Computed tomography of the spine — the image spans 500 mm across — Sagittal slice 262/512
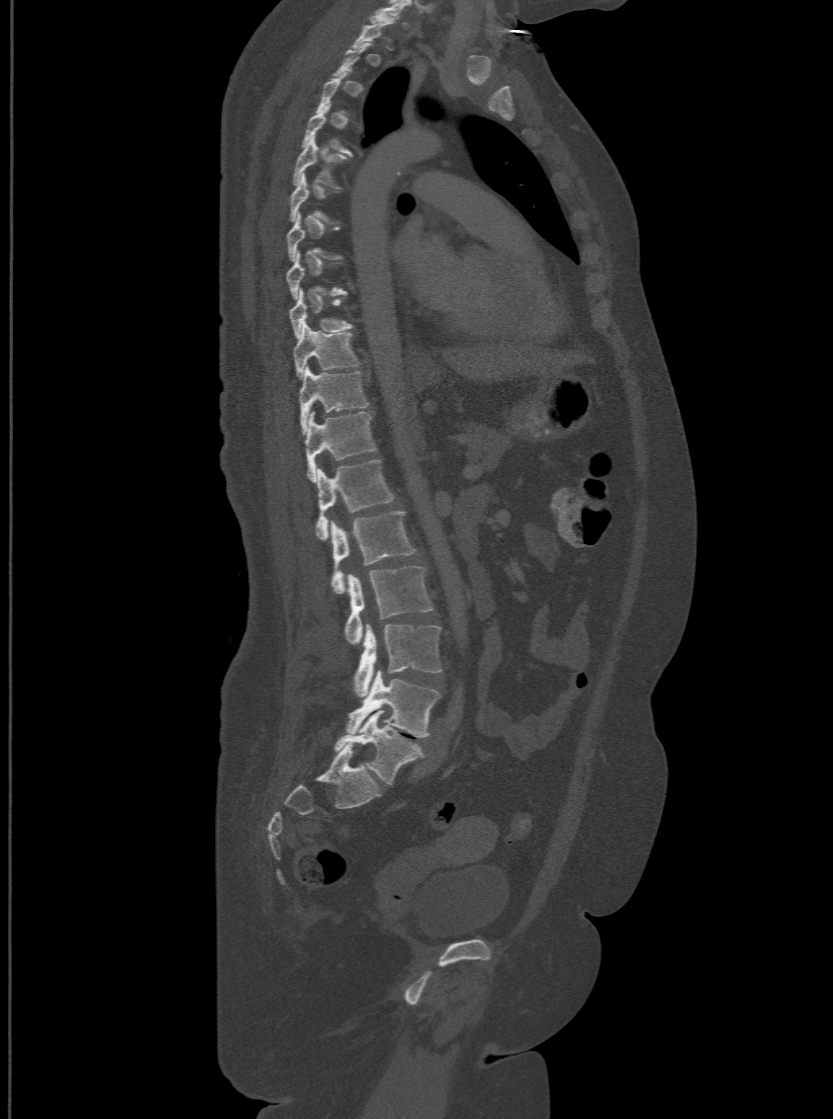

Boxes: x1:y1:x2:y2 in pixels. A vertebra is boxed only from the first to the last slice where its cross-section is at least a third of its largest; slices outside that range leave it without a box. In these labels the spine has an L6, a sixth lumbar vertebra below L5. Vertebrae labeled: L6 at 335:711:422:785, L5 at 347:671:440:737, L4 at 353:624:440:697, L3 at 345:566:432:643, L2 at 330:510:414:593, L1 at 316:458:395:537, T12 at 304:412:375:479, T11 at 299:365:367:432, T10 at 293:322:359:376, T9 at 290:288:352:336, T5 at 293:135:344:186, T4 at 301:102:351:152.